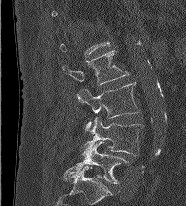 CT, spine — sagittal view — 186x206 px
Boxes are (x1, y1, x2, y2) in pixels. Not every vertebra on this slice has a box: a vertebra is boxed only from the first to the last slice where its cross-section is at least a third of its largest, and this slice is outside that range for at least one of them. The labeled vertebrae in this slice are: L2 at (62, 50, 129, 85), L3 at (77, 82, 139, 133), L4 at (82, 117, 144, 158), L5 at (64, 141, 129, 183).